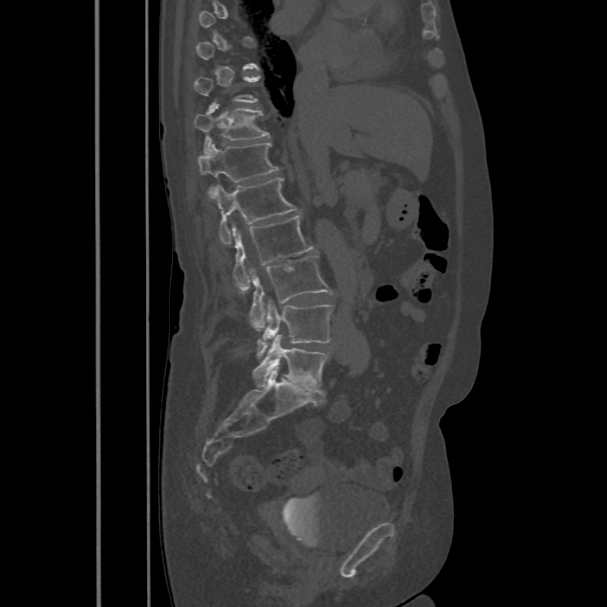
Spine CT — 486 mm wide — sagittal view
Bounding boxes as [x1, y1, x2, y2] in pixel coordinates.
Not every vertebra on this slice has a box: a vertebra is boxed only from the first to the last slice where its cross-section is at least a third of its largest, and this slice is outside that range for at least one of them.
T11: [193, 102, 269, 152]
T12: [197, 142, 279, 197]
L1: [212, 177, 298, 244]
L2: [232, 215, 312, 289]
L3: [249, 255, 332, 329]
L4: [256, 301, 332, 357]
L5: [253, 335, 328, 394]